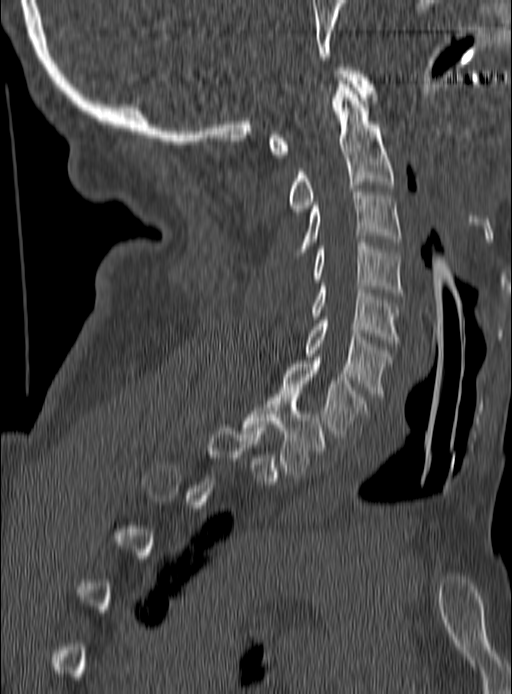
Computed tomography of the spine — sagittal reformat — 190 mm wide — Bone window (WL 400, WW 1800)
Each vertebra maps to its box as [x1, y1, x2, y2], the pixel coordinates of its top-left and bottom-right corners.
A vertebra gets a box only on the slices from the first to the last where its cross-section is at least a third of its largest; on a slice outside that range it gets none.
{"vertebrae":{"C1":[269,67,374,157],"C2":[289,77,393,211],"C3":[296,189,401,252],"C4":[313,239,401,295],"C5":[311,283,399,343],"C6":[305,317,388,396],"C7":[280,360,366,437],"T1":[243,391,323,474]}}